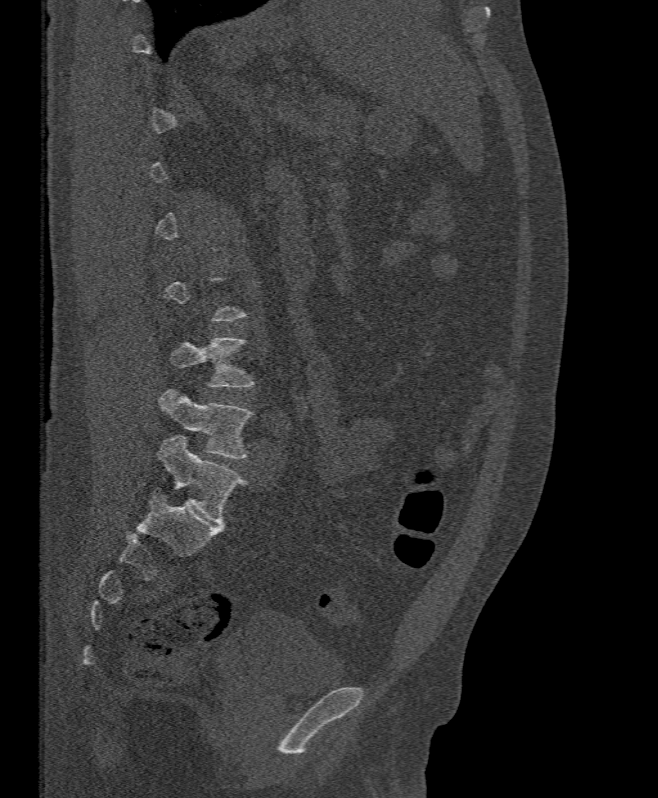

CT · sagittal view · the image is 395 mm wide
Each vertebra maps to its box as [x1, y1, x2, y2], the pixel coordinates of its top-left and bottom-right corners.
A vertebra is boxed only from the first to the last slice where its cross-section is at least a third of its largest; slices outside that range leave it without a box.
{"vertebrae":{"L4":[170,337,254,387],"L5":[158,388,254,459]}}